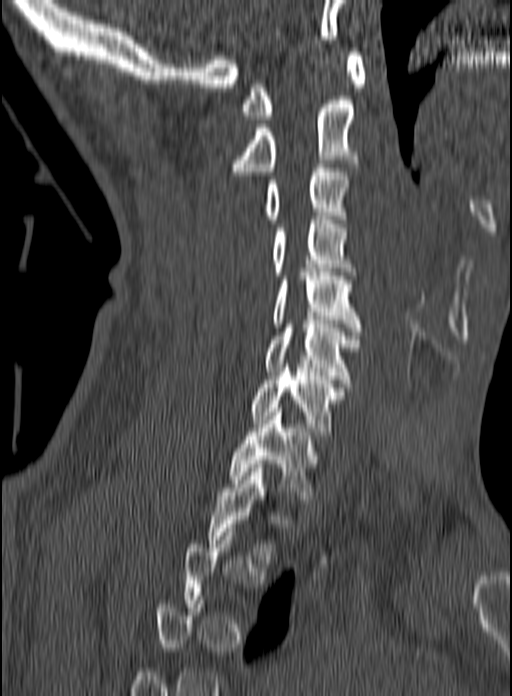 Spine CT — sagittal view — bone window — 512x696 px

Box edges are left/top/right/bottom in pixels.
Each vertebra is boxed only on the slices from the first to the last where its cross-section reaches a third of its largest, so a slice outside that range leaves it unboxed.
T2: left=209, top=464, right=292, bottom=559
T1: left=228, top=408, right=318, bottom=495
C7: left=251, top=364, right=346, bottom=435
C6: left=263, top=320, right=359, bottom=383
C5: left=273, top=268, right=362, bottom=335
C4: left=272, top=216, right=357, bottom=275
C3: left=265, top=164, right=349, bottom=223
C2: left=232, top=100, right=358, bottom=175
C1: left=240, top=52, right=365, bottom=119